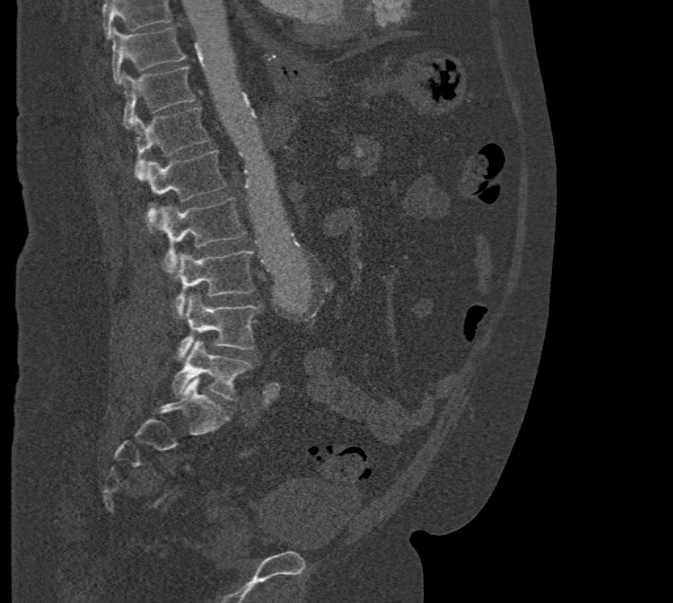

CT spine · 471 mm image width · sagittal view
Each box is [x1, y1, x2, y2] in pixels: top-left corner, then bottom-right corner.
Where the top of the scan cuts through a vertebra, that vertebra gets no label or box.
{"vertebrae":{"T10":[112,28,186,84],"T11":[121,66,195,128],"T12":[133,108,209,179],"L1":[146,150,226,229],"L2":[159,198,246,274],"L3":[172,250,255,318],"L4":[176,293,262,359],"L5":[171,339,251,399]}}